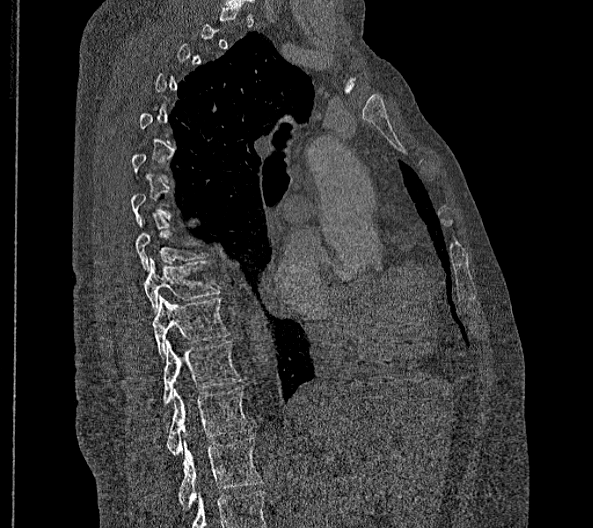

Computed tomography of the spine · sagittal view. Each row gives a vertebra's box as x1, y1, x2, y2 in pixels: top-left corner, then bottom-right corner.
Each vertebra is boxed only on the slices from the first to the last where its cross-section reaches a third of its largest, so a slice outside that range leaves it unboxed.
This scan's labels start at T2 at the top and end at L2 at the bottom.
In these labels the thoracic vertebrae end at T11, so L1 follows T11.
| vertebra | x1 | y1 | x2 | y2 |
|---|---|---|---|---|
| T8 | 134 | 230 | 205 | 271 |
| T9 | 145 | 257 | 219 | 313 |
| T10 | 153 | 295 | 228 | 358 |
| T11 | 163 | 340 | 240 | 404 |
| L1 | 167 | 387 | 250 | 454 |
| L2 | 176 | 437 | 262 | 509 |